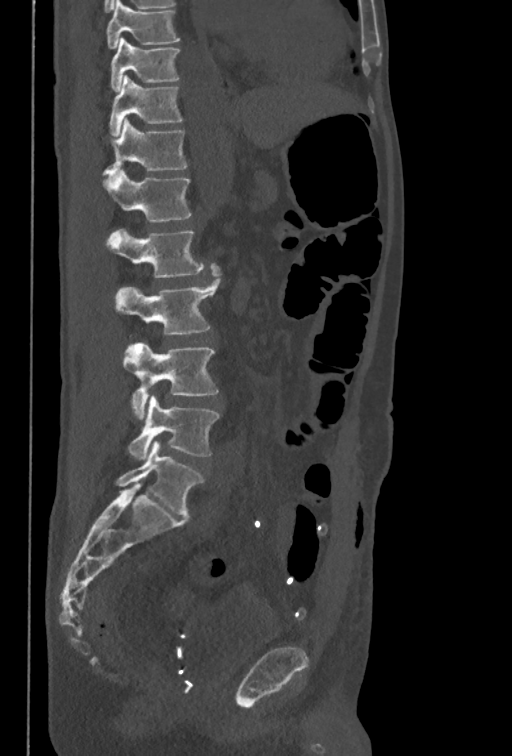 CT spine — sagittal view — image width 350 mm — bone-window reconstruction. Each row gives a vertebra's box as x1, y1, x2, y2 in pixels: top-left corner, then bottom-right corner.
Labels in this scan begin with T10 at the top and end with L5 at the bottom.
| vertebra | x1 | y1 | x2 | y2 |
|---|---|---|---|---|
| T10 | 111 | 38 | 180 | 92 |
| T11 | 109 | 75 | 183 | 136 |
| T12 | 102 | 117 | 187 | 177 |
| L1 | 102 | 170 | 190 | 222 |
| L2 | 105 | 228 | 204 | 278 |
| L3 | 114 | 263 | 221 | 335 |
| L4 | 123 | 342 | 218 | 419 |
| L5 | 128 | 395 | 220 | 460 |